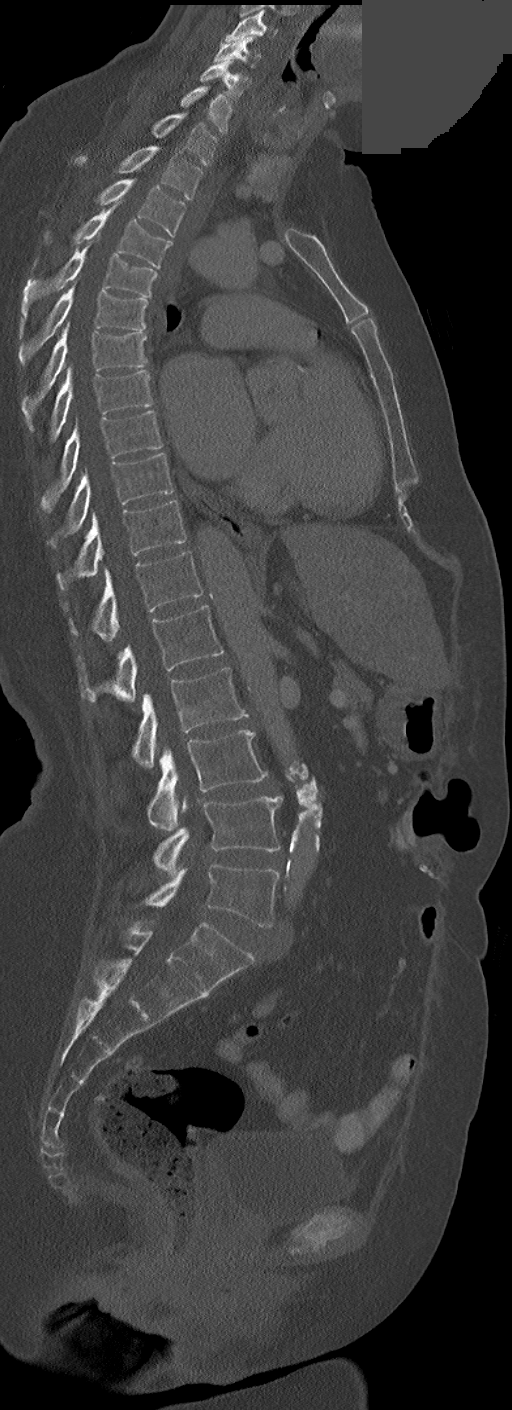
Spine CT — sagittal view — Bone window (WL 400, WW 1800) — a uniform gray block covers part of the image

Each box given as x1,y1,x2,y2. In these labels the thoracic vertebrae end at T11, so L1 follows T11. Vertebrae labeled: C3 at x1=225, y1=10, x2=276, y2=41, C4 at x1=213, y1=37, x2=260, y2=67, C5 at x1=200, y1=60, x2=249, y2=97, C6 at x1=181, y1=86, x2=231, y2=134, C7 at x1=151, y1=112, x2=217, y2=166, T1 at x1=76, y1=146, x2=203, y2=199, T2 at x1=98, y1=179, x2=184, y2=236, T3 at x1=45, y1=203, x2=172, y2=268, T4 at x1=21, y1=246, x2=156, y2=333, T5 at x1=19, y1=285, x2=148, y2=365, T6 at x1=21, y1=322, x2=146, y2=431, T7 at x1=49, y1=366, x2=152, y2=440, T8 at x1=41, y1=411, x2=162, y2=514, T9 at x1=49, y1=454, x2=172, y2=544, T10 at x1=57, y1=500, x2=186, y2=589, T11 at x1=70, y1=551, x2=203, y2=640, L1 at x1=78, y1=606, x2=223, y2=702, L2 at x1=133, y1=667, x2=247, y2=767, L3 at x1=147, y1=730, x2=268, y2=830, L4 at x1=153, y1=797, x2=282, y2=875, L5 at x1=145, y1=864, x2=280, y2=928.